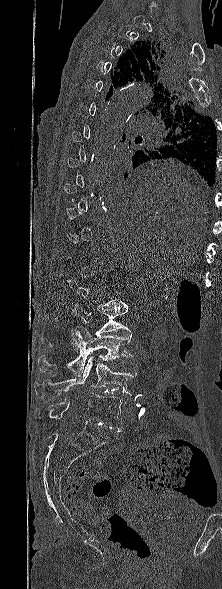
CT, spine. sagittal view. 222x589 px. Boxes are (x1, y1, x2, y2) in pixels. Each vertebra is boxed only on the slices from the first to the last where its cross-section reaches a third of its largest, so a slice outside that range leaves it unboxed. Vertebrae labeled: L2 at (39, 301, 128, 349), L3 at (38, 326, 133, 376), L4 at (34, 356, 136, 398), L5 at (48, 393, 124, 431).